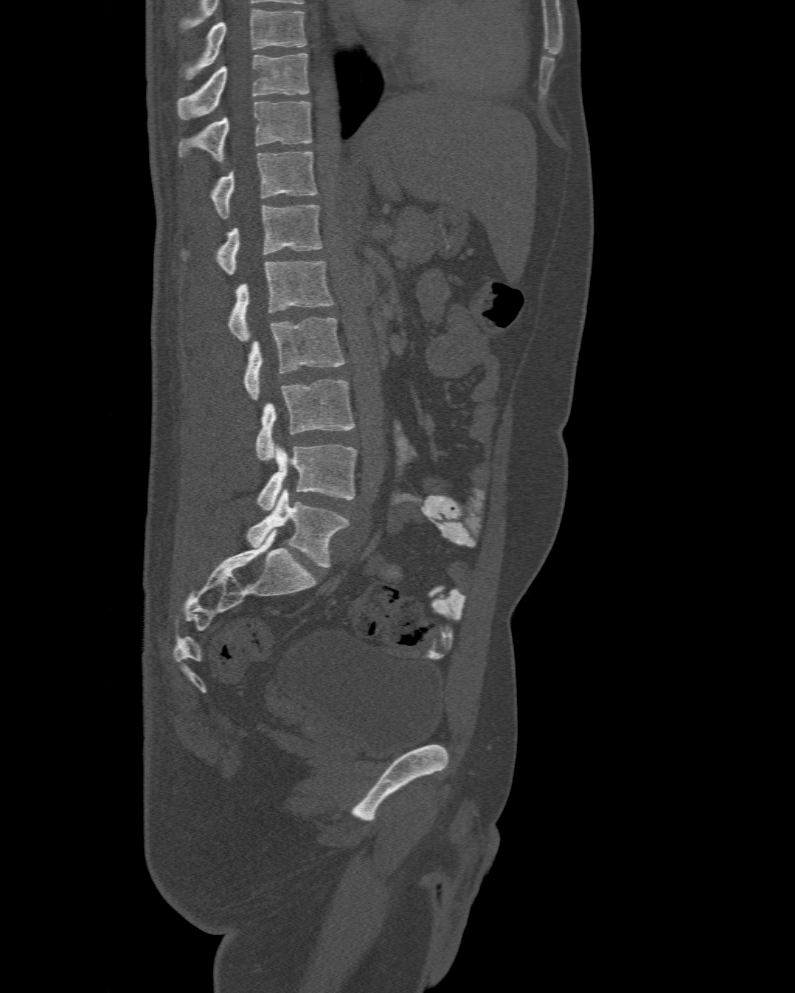
Spine CT. sagittal view. bone-window reconstruction. Boxes are (x1, y1, x2, y2) in pixels.
This scan's labels start at T10 at the top and end at L6 at the bottom.
These labels give the spine a sixth lumbar vertebra, L6, below L5.
Vertebra bounding boxes:
- T10: (177, 53, 310, 119)
- T11: (179, 102, 311, 162)
- T12: (210, 151, 317, 219)
- L1: (182, 205, 322, 275)
- L2: (228, 262, 334, 341)
- L3: (242, 317, 345, 401)
- L4: (255, 378, 355, 461)
- L5: (256, 445, 358, 511)
- L6: (247, 488, 348, 567)